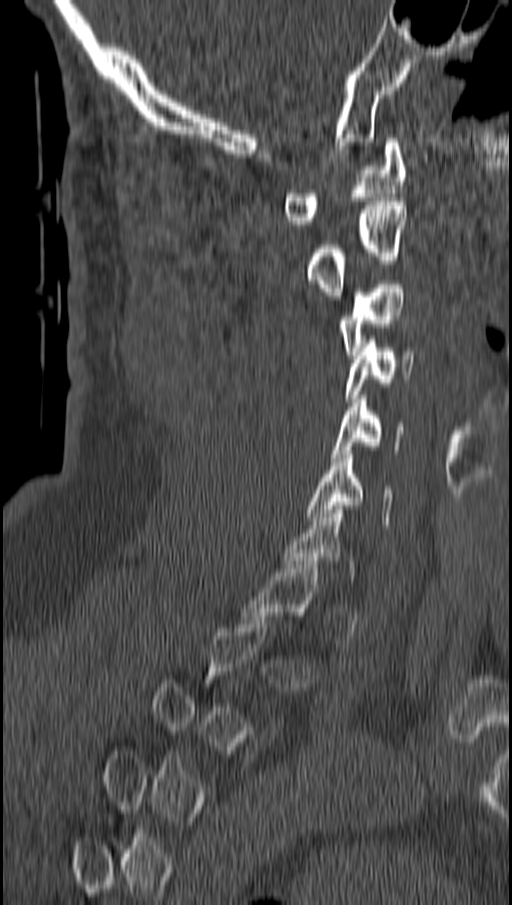
Computed tomography of the spine. sagittal view. 512x905 px. the image is 162 mm wide
Box values are [left, top, right, bottom] in pixels.
A vertebra is boxed only from the first to the last slice where its cross-section is at least a third of its largest; slices outside that range leave it without a box.
{"vertebrae":{"C6":[308,450,392,528],"C5":[330,395,401,461],"C4":[346,336,414,402],"C3":[339,280,406,359],"C2":[308,201,408,299],"C1":[285,138,405,224]}}